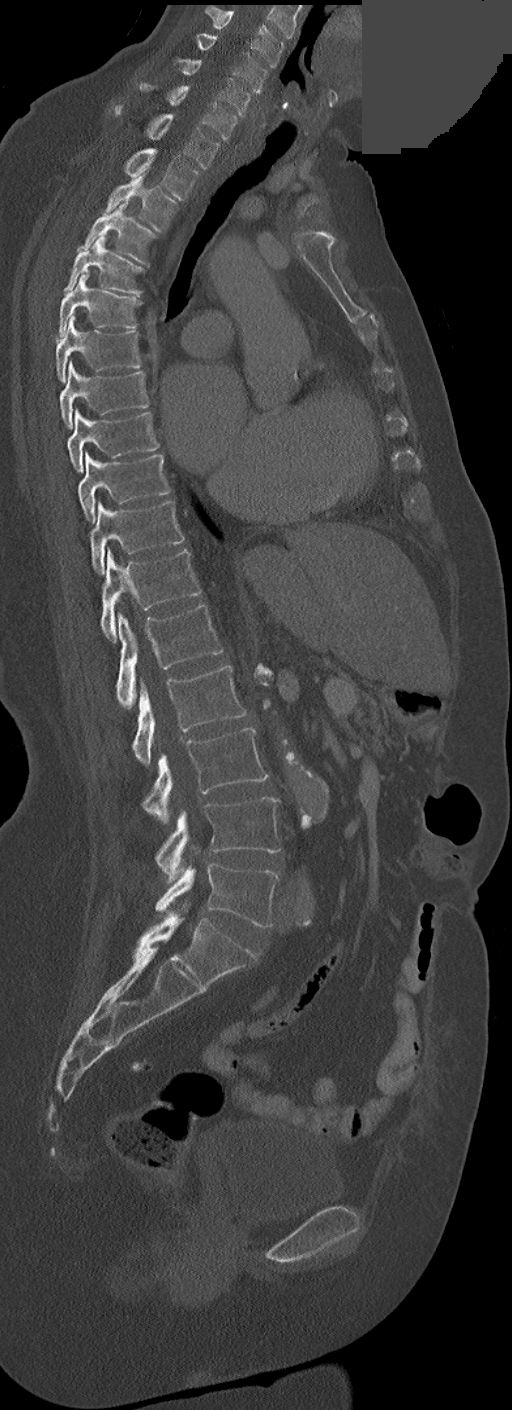 Computed tomography of the spine · sagittal view · Bone window (WL 400, WW 1800) · 512x1410 px · part of the image is a flat gray fill, not anatomy

These labels give this spine no T12: after T11 the next vertebra is L1.
<vertebrae><v name="C3" x1="205" y1="5" x2="284" y2="67"/><v name="C4" x1="196" y1="33" x2="268" y2="93"/><v name="C5" x1="177" y1="59" x2="249" y2="115"/><v name="C6" x1="141" y1="84" x2="237" y2="140"/><v name="C7" x1="114" y1="104" x2="219" y2="168"/><v name="T1" x1="124" y1="149" x2="199" y2="201"/><v name="T2" x1="106" y1="173" x2="178" y2="231"/><v name="T3" x1="77" y1="204" x2="154" y2="264"/><v name="T4" x1="64" y1="236" x2="142" y2="294"/><v name="T5" x1="59" y1="273" x2="140" y2="337"/><v name="T6" x1="55" y1="316" x2="140" y2="382"/><v name="T7" x1="59" y1="360" x2="148" y2="428"/><v name="T8" x1="68" y1="409" x2="158" y2="473"/><v name="T9" x1="78" y1="451" x2="170" y2="522"/><v name="T10" x1="90" y1="500" x2="184" y2="574"/><v name="T11" x1="100" y1="549" x2="201" y2="642"/><v name="L1" x1="116" y1="604" x2="223" y2="709"/><v name="L2" x1="133" y1="665" x2="245" y2="765"/><v name="L3" x1="143" y1="728" x2="268" y2="822"/><v name="L4" x1="155" y1="797" x2="280" y2="883"/><v name="L5" x1="155" y1="864" x2="278" y2="926"/></vertebrae>